CT, spine — sagittal reformat
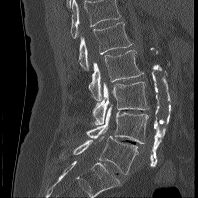
The highest labeled vertebra in this scan is L1; the lowest is L5.
<vertebrae><v name="L1" x1="79" y1="22" x2="132" y2="70"/><v name="L2" x1="88" y1="50" x2="143" y2="100"/><v name="L3" x1="92" y1="82" x2="149" y2="124"/><v name="L4" x1="86" y1="104" x2="148" y2="143"/><v name="L5" x1="61" y1="136" x2="137" y2="174"/></vertebrae>